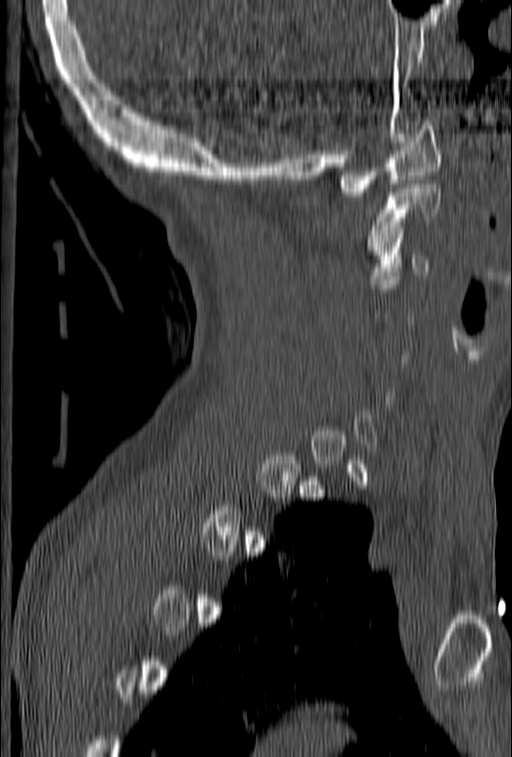
CT spine — sagittal view — 153 mm wide — W/L 1800/400 HU — 512x757 px
Each box is [x1, y1, x2, y2] in pixels: top-left corner, then bottom-right corner.
A vertebra is boxed only from the first to the last slice where its cross-section is at least a third of its largest; slices outside that range leave it without a box.
{"vertebrae":{"C3":[368,238,429,283],"C2":[366,180,440,250],"C1":[338,121,442,196]}}